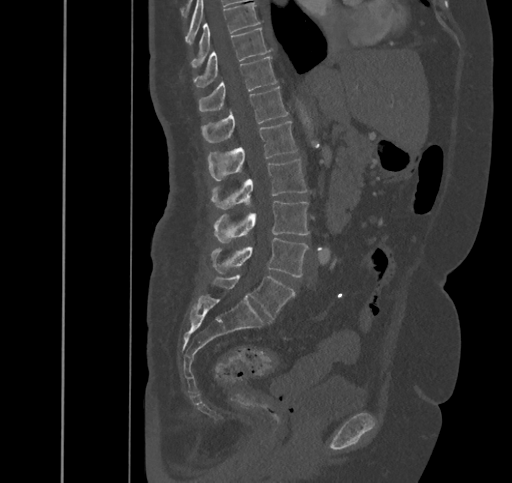 CT, spine — sagittal view
Boxes: x1 y1 x2 y2 (pixel coords, space-separated).
Vertebra bounding boxes:
- T9: 191 3 260 66
- T10: 193 28 270 87
- T11: 199 57 277 111
- T12: 201 87 288 142
- L1: 208 121 297 180
- L2: 212 159 307 209
- L3: 214 201 308 242
- L4: 212 237 308 277
- L5: 213 274 295 318